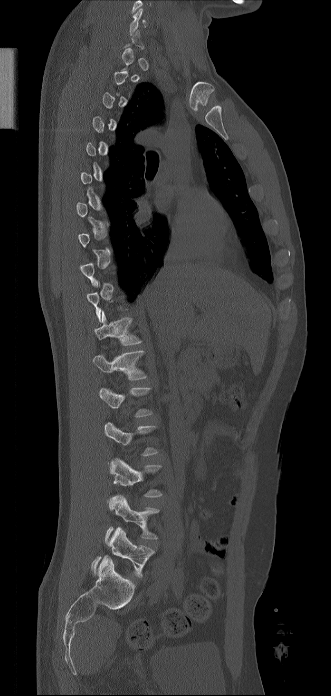
Spine computed tomography. sagittal reformat. Bone window (WL 400, WW 1800). 331x696 px. Each box given as x1,y1,x2,y2.
A vertebra is boxed only from the first to the last slice where its cross-section is at least a third of its largest; slices outside that range leave it without a box.
L5: x1=90, y1=527, x2=154, y2=577
L4: x1=105, y1=495, x2=159, y2=541
L3: x1=110, y1=458, x2=162, y2=497
L1: x1=99, y1=387, x2=152, y2=417
T12: x1=93, y1=350, x2=146, y2=380
T11: x1=94, y1=311, x2=142, y2=345
C6: x1=129, y1=7, x2=146, y2=35